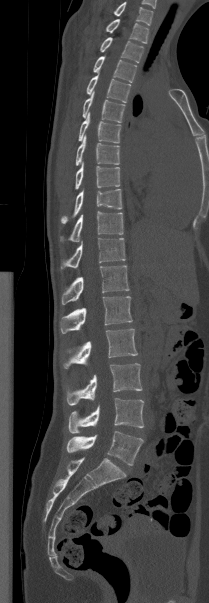 CT, spine — sagittal view
Boxes: x1 y1 x2 y2 (pixel coords, space-separated).
The highest labeled vertebra in this scan is T1; the lowest is L5.
Vertebra bounding boxes:
- T1: 106 19 148 43
- T2: 100 37 143 62
- T3: 93 56 136 82
- T4: 86 74 130 102
- T5: 82 91 125 122
- T6: 78 112 121 143
- T7: 75 135 119 165
- T8: 75 162 120 189
- T9: 61 189 122 223
- T10: 60 211 123 242
- T11: 61 238 125 269
- T12: 61 265 129 304
- L1: 60 296 132 333
- L2: 63 329 137 368
- L3: 67 363 142 405
- L4: 68 398 143 433
- L5: 66 431 143 465